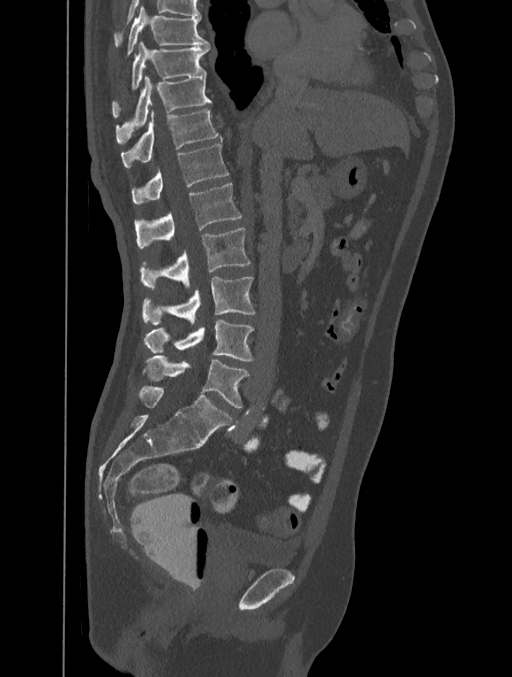

CT spine. sagittal view. bone window. 512x677 px. Boxes: x1:y1:x2:y2 in pixels. 10 vertebrae labeled — T8 at 128:6:210:54; T9 at 112:41:210:109; T10 at 116:75:212:144; T11 at 121:109:222:168; T12 at 131:144:229:204; L1 at 135:183:241:248; L2 at 140:228:250:287; L3 at 143:276:255:324; L4 at 143:319:253:361; L5 at 142:355:249:408.